Spine CT · sagittal view · bone-window reconstruction
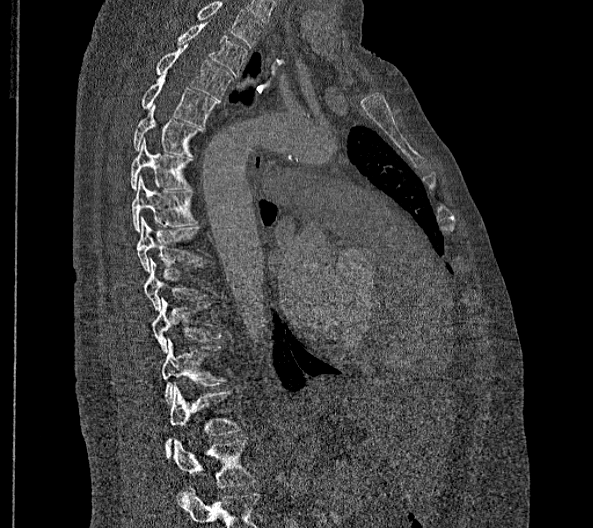 Boxes: x1:y1:x2:y2 in pixels.
Labels in this scan begin with T2 at the top and end with L2 at the bottom.
In these labels the thoracic vertebrae end at T11, so L1 follows T11.
Vertebra bounding boxes:
- L2: 173:440:254:487
- L1: 166:384:240:458
- T11: 161:338:224:402
- T10: 152:297:220:352
- T9: 143:257:204:309
- T8: 137:216:202:271
- T7: 131:175:196:232
- T6: 131:138:190:190
- T5: 133:103:203:156
- T4: 141:74:217:126
- T3: 156:46:232:99
- T2: 176:23:247:76